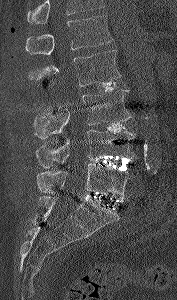 Computed tomography of the spine; sagittal view; Bone window (WL 400, WW 1800); 177x300 px
No box is given to a vertebra that the top edge of the scan cuts off.
<vertebrae><v name="L1" x1="25" y1="15" x2="113" y2="56"/><v name="L2" x1="27" y1="50" x2="121" y2="86"/><v name="L3" x1="34" y1="90" x2="132" y2="138"/><v name="L4" x1="35" y1="130" x2="137" y2="168"/><v name="L5" x1="36" y1="163" x2="132" y2="199"/></vertebrae>